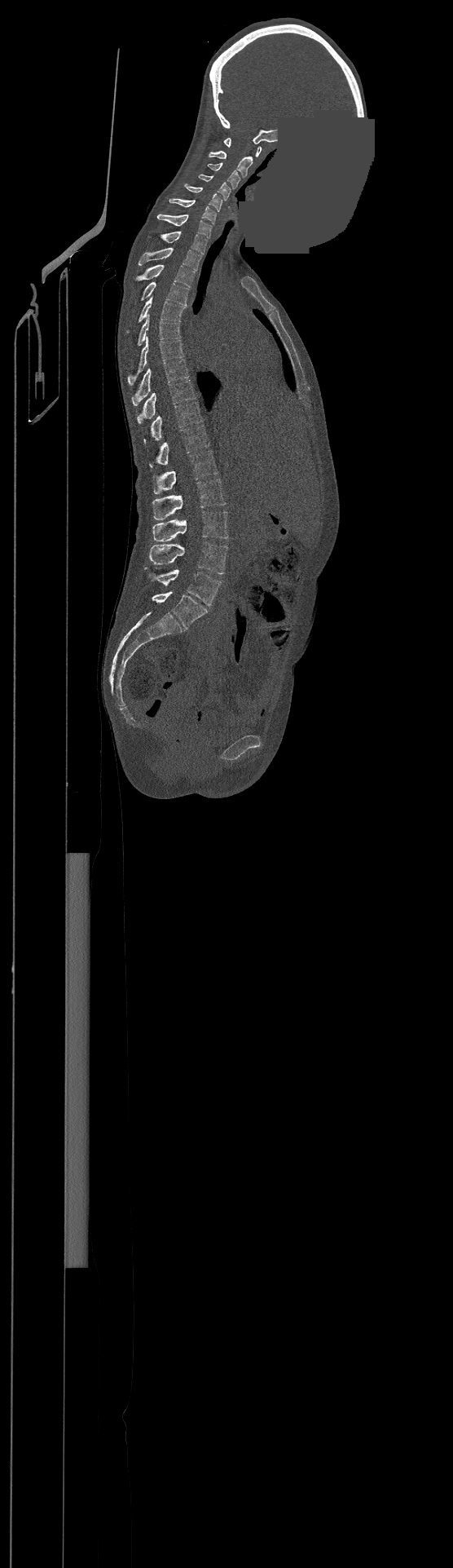

Spine CT · sagittal view · 500 mm image width · bone window · a portion of the image is blanked out (constant pixel value)

Labels in this scan begin with C1 at the top and end with L4 at the bottom.
<vertebrae><v name="L4" x1="145" y1="568" x2="221" y2="605"/><v name="L3" x1="149" y1="542" x2="227" y2="574"/><v name="L2" x1="153" y1="510" x2="228" y2="541"/><v name="L1" x1="153" y1="479" x2="226" y2="520"/><v name="T12" x1="153" y1="450" x2="218" y2="493"/><v name="T11" x1="149" y1="426" x2="209" y2="467"/><v name="T10" x1="144" y1="402" x2="201" y2="443"/><v name="T9" x1="138" y1="380" x2="195" y2="423"/><v name="T8" x1="132" y1="360" x2="188" y2="406"/><v name="T7" x1="127" y1="337" x2="183" y2="385"/><v name="T6" x1="138" y1="314" x2="180" y2="346"/><v name="T5" x1="126" y1="297" x2="185" y2="333"/><v name="T4" x1="142" y1="281" x2="188" y2="305"/><v name="T3" x1="136" y1="264" x2="194" y2="287"/><v name="T2" x1="139" y1="248" x2="200" y2="271"/><v name="T1" x1="161" y1="231" x2="206" y2="254"/><v name="C7" x1="157" y1="214" x2="213" y2="238"/><v name="C6" x1="169" y1="198" x2="216" y2="223"/><v name="C5" x1="185" y1="183" x2="222" y2="211"/><v name="C4" x1="199" y1="174" x2="231" y2="200"/><v name="C3" x1="207" y1="163" x2="240" y2="188"/><v name="C2" x1="209" y1="151" x2="253" y2="176"/><v name="C1" x1="224" y1="138" x2="261" y2="157"/></vertebrae>